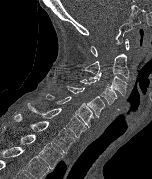 CT; sagittal view
Box edges are left/top/right/bottom in pixels.
T2: left=1, top=126, right=63, bottom=169
T1: left=13, top=114, right=75, bottom=152
C7: left=27, top=103, right=86, bottom=137
C6: left=46, top=93, right=93, bottom=127
C5: left=66, top=86, right=104, bottom=117
C4: left=79, top=78, right=117, bottom=104
C3: left=86, top=72, right=127, bottom=96
C2: left=81, top=54, right=129, bottom=78
C1: left=91, top=39, right=129, bottom=56